CT, spine. 180 mm wide. Sagittal slice 287/512
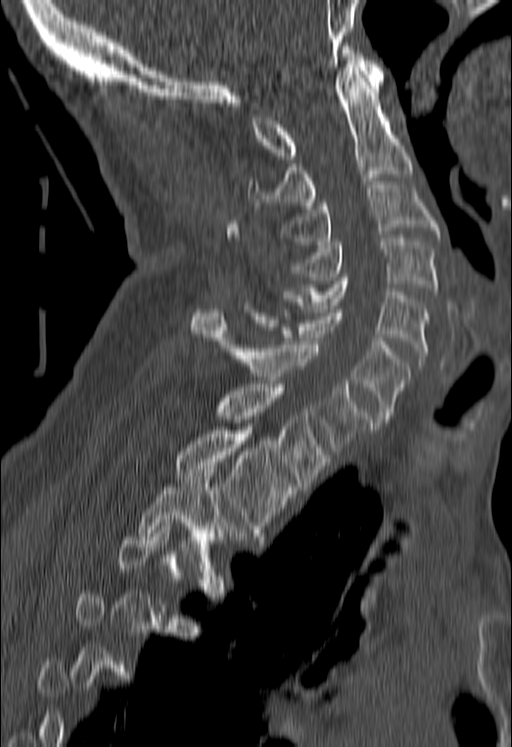
Boxes are (x1, y1, x2, y2) in pixels.
A vertebra gets a box only on the slices from the first to the last where its cross-section is at least a third of its largest; on a slice outside that range it gets none.
Vertebra bounding boxes:
- C1: (252, 46, 384, 159)
- C2: (248, 64, 412, 209)
- C3: (283, 185, 438, 244)
- C4: (294, 238, 438, 294)
- C5: (283, 277, 429, 362)
- C6: (253, 309, 410, 422)
- C7: (192, 309, 372, 454)
- T1: (216, 384, 327, 486)
- T2: (174, 427, 293, 536)
- T3: (137, 466, 225, 564)